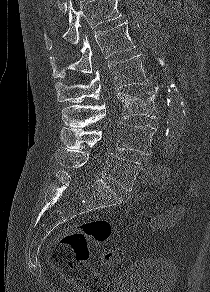 Spine CT — sagittal reformat — bone window — 210x292 px
Boxes are (x1, y1, x2, y2) in pixels.
Where the top of the scan cuts through a vertebra, that vertebra gets no label or box.
Vertebra bounding boxes:
- L5: (55, 147, 141, 191)
- L4: (61, 122, 156, 155)
- L3: (62, 87, 158, 127)
- L2: (55, 54, 147, 102)
- L1: (49, 21, 135, 78)